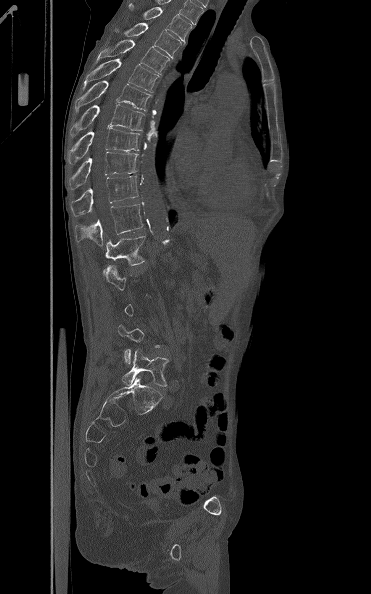 CT, spine. sagittal view. bone-window reconstruction
Boxes: x1:y1:x2:y2 in pixels.
A vertebra gets a box only on the slices from the first to the last where its cross-section is at least a third of its largest; on a slice outside that range it gets none.
Vertebra bounding boxes:
- T3: 128:3:191:43
- T4: 116:22:181:58
- T5: 95:40:170:75
- T6: 83:58:159:92
- T7: 75:80:151:110
- T8: 71:104:144:135
- T9: 67:127:140:163
- T10: 69:152:139:189
- T11: 69:175:139:215
- T12: 75:203:143:246
- L1: 103:229:151:276
- L5: 122:349:169:386